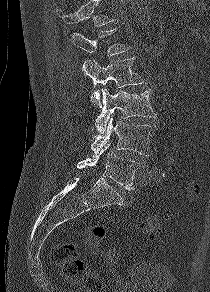

CT, spine. sagittal reformat

Vertebrae that run past the top of the scan are left unlabeled.
<vertebrae><v name="L1" x1="71" y1="28" x2="129" y2="55"/><v name="L2" x1="83" y1="58" x2="143" y2="107"/><v name="L3" x1="95" y1="88" x2="156" y2="133"/><v name="L4" x1="91" y1="116" x2="152" y2="155"/><v name="L5" x1="77" y1="144" x2="137" y2="190"/></vertebrae>